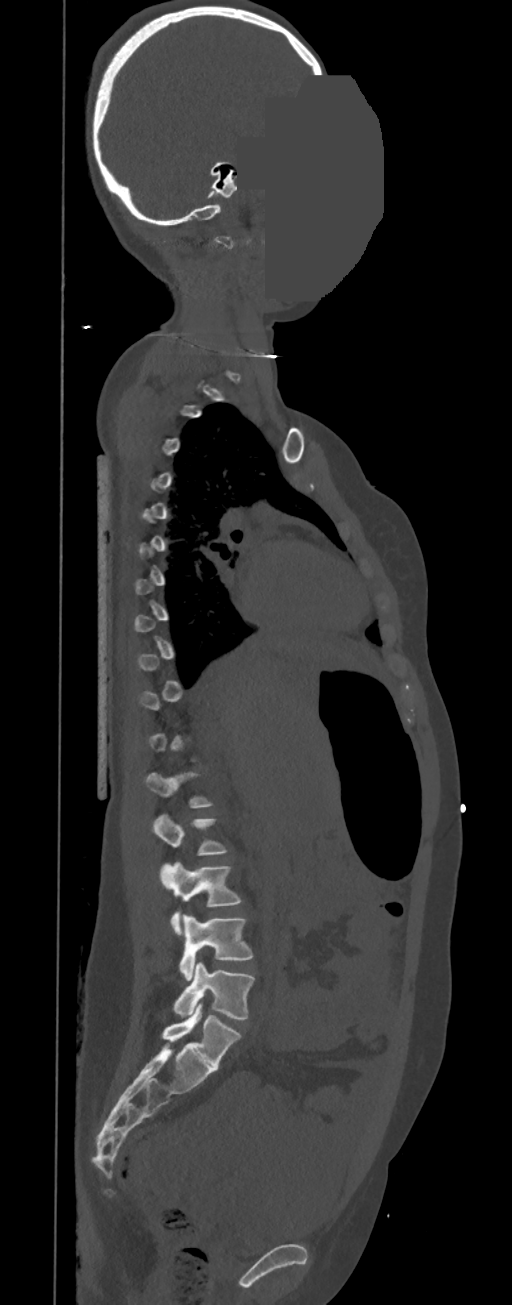
Spine computed tomography — sagittal view — W/L 1800/400 HU — 512x1305 px — part of the image has been replaced by a constant value
Each row gives a vertebra's box as x1, y1, x2, y2 in pixels: top-left corner, then bottom-right corner.
A vertebra gets a box only on the slices from the first to the last where its cross-section is at least a third of its largest; on a slice outside that range it gets none.
| vertebra | x1 | y1 | x2 | y2 |
|---|---|---|---|---|
| L5 | 174 | 962 | 255 | 1019 |
| L4 | 180 | 914 | 252 | 980 |
| L3 | 161 | 861 | 240 | 934 |
| L2 | 152 | 815 | 226 | 855 |